Computed tomography of the spine; Sagittal slice 135/230; 230x400 px; scan covers 14 annotated vertebrae
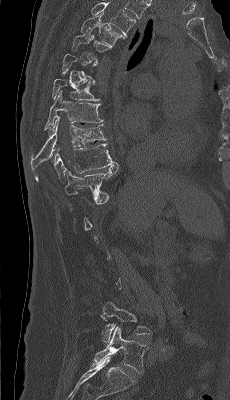 Each box is [x1, y1, x2, y2] in pixels: top-left corner, then bottom-right corner.
Not every vertebra on this slice has a box: a vertebra is boxed only from the first to the last slice where its cross-section is at least a third of its largest, and this slice is outside that range for at least one of them.
The highest labeled vertebra in this scan is T4; the lowest is L5.
{"vertebrae":{"L5":[94,326,148,373],"L4":[100,302,151,342],"T11":[65,163,118,195],"T10":[35,143,116,182],"T9":[31,116,106,171],"T8":[44,91,102,129],"T7":[52,78,99,101],"T5":[72,29,111,63],"T4":[81,13,125,47]}}